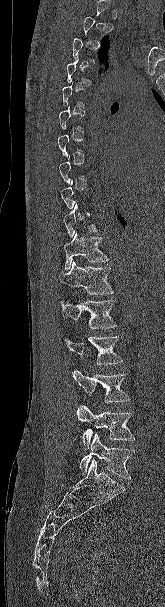 CT. image width 165 mm. sagittal view
Not every vertebra on this slice has a box: a vertebra is boxed only from the first to the last slice where its cross-section is at least a third of its largest, and this slice is outside that range for at least one of them.
<vertebrae><v name="L5" x1="79" y1="433" x2="134" y2="479"/><v name="L4" x1="76" y1="405" x2="135" y2="449"/><v name="L3" x1="72" y1="369" x2="131" y2="402"/><v name="L2" x1="64" y1="336" x2="123" y2="364"/><v name="L1" x1="59" y1="300" x2="116" y2="328"/><v name="T12" x1="59" y1="261" x2="114" y2="294"/><v name="T11" x1="63" y1="231" x2="109" y2="270"/></vertebrae>